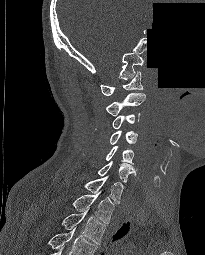

Computed tomography of the spine; sagittal view; bone-window reconstruction; a region is blanked to uniform black, ending in a straight edge. Coordinates as <box>x1,y1,x2,y2</box>.
In this scan, the topmost labeled vertebra is C1 and the lowest is T2.
C1: <box>100,71,143,95</box>
C2: <box>105,92,145,116</box>
C3: <box>112,113,140,129</box>
C4: <box>110,130,137,144</box>
C5: <box>106,146,134,164</box>
C6: <box>97,161,135,183</box>
C7: <box>84,175,123,204</box>
T1: <box>72,190,114,223</box>
T2: <box>61,211,105,244</box>